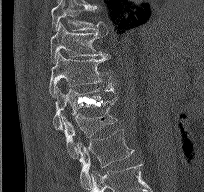
CT — sagittal view — bone-window reconstruction — 204x192 px
Boxes are (x1, y1, x2, y2) in pixels.
L2: (76, 129, 134, 185)
L1: (62, 98, 117, 159)
T12: (52, 87, 116, 131)
T11: (49, 52, 114, 96)
T10: (50, 22, 107, 63)
T9: (51, 0, 108, 32)